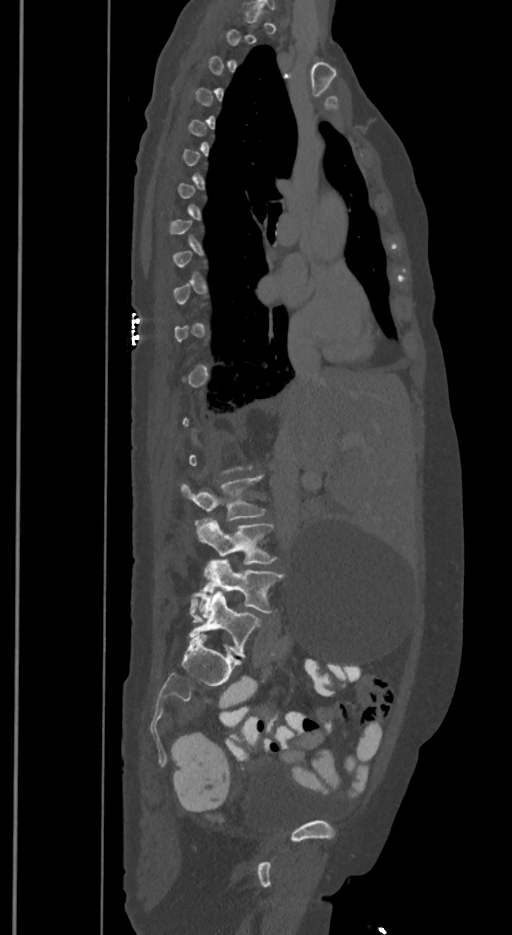 CT spine · sagittal view · 350 mm image width · bone-window reconstruction. Boxes are given in columns x1, y1, x2, y2, the pixel coordinates of their top-left and bottom-right corners.
A vertebra is boxed only from the first to the last slice where its cross-section is at least a third of its largest; slices outside that range leave it without a box.
In these labels the spine has an L6, a sixth lumbar vertebra below L5.
| vertebra | x1 | y1 | x2 | y2 |
|---|---|---|---|---|
| L6 | 188 | 591 | 261 | 657 |
| L5 | 191 | 560 | 283 | 615 |
| L4 | 194 | 517 | 275 | 564 |
| L3 | 181 | 475 | 265 | 524 |